CT spine; sagittal reformat; 512x747 px; 12 vertebrae labeled in this scan
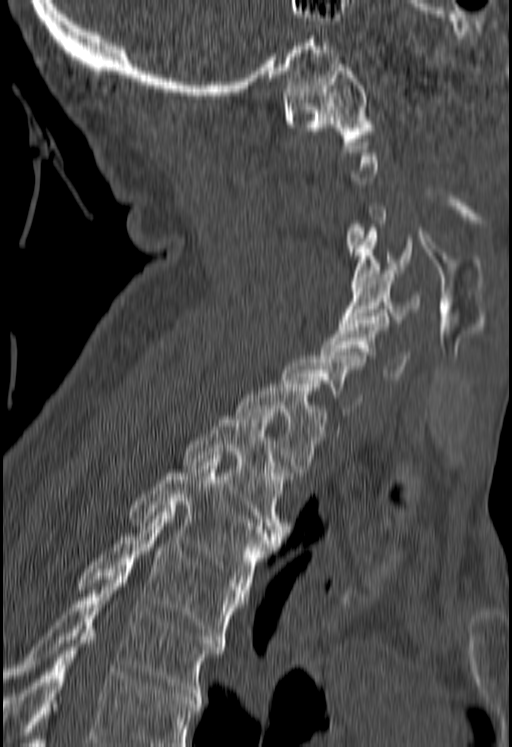
Each box given as x1,y1,x2,y2. Each vertebra is boxed only on the slices from the first to the last where its cross-section reaches a third of its largest, so a slice outside that range leaves it unboxed. Where the bottom of the scan cuts through a vertebra, that vertebra gets no label or box. The labeled vertebrae in this slice are: C1 at x1=283, y1=64, x2=371, y2=141, C4 at x1=351, y1=228, x2=412, y2=291, C5 at x1=338, y1=270, x2=419, y2=326, C6 at x1=319, y1=316, x2=409, y2=379, T1 at x1=236, y1=384, x2=329, y2=475, T2 at x1=182, y1=416, x2=290, y2=539, T3 at x1=129, y1=459, x2=279, y2=589, T4 at x1=75, y1=512, x2=245, y2=643, T5 at x1=3, y1=572, x2=225, y2=696.